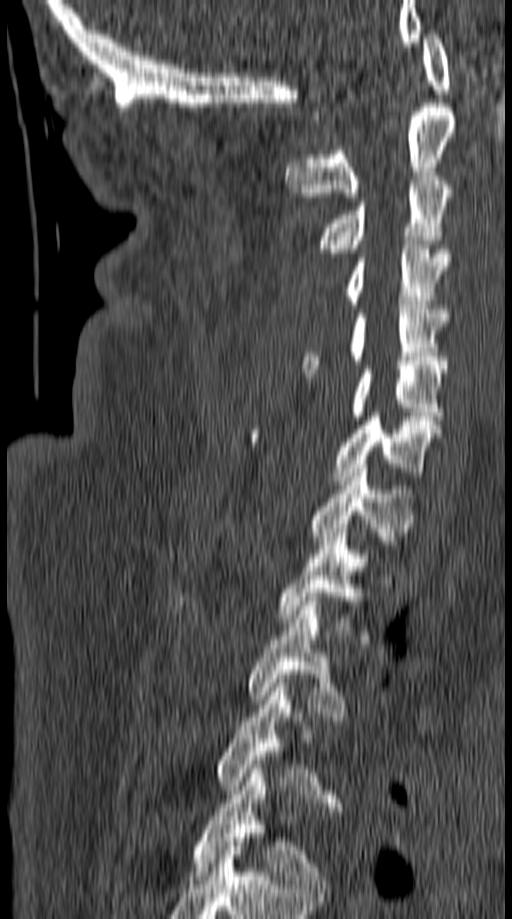
CT, spine; sagittal view; bone window

<vertebrae><v name="C1" x1="314" y1="30" x2="450" y2="119"/><v name="C2" x1="286" y1="103" x2="457" y2="201"/><v name="C3" x1="317" y1="172" x2="453" y2="257"/><v name="C4" x1="348" y1="245" x2="448" y2="308"/><v name="C5" x1="302" y1="305" x2="448" y2="373"/><v name="C6" x1="349" y1="365" x2="445" y2="420"/><v name="C7" x1="247" y1="412" x2="444" y2="484"/><v name="T1" x1="310" y1="464" x2="414" y2="545"/><v name="T2" x1="280" y1="528" x2="363" y2="622"/><v name="T3" x1="249" y1="597" x2="344" y2="716"/><v name="T4" x1="218" y1="683" x2="318" y2="789"/><v name="T5" x1="194" y1="765" x2="324" y2="892"/></vertebrae>